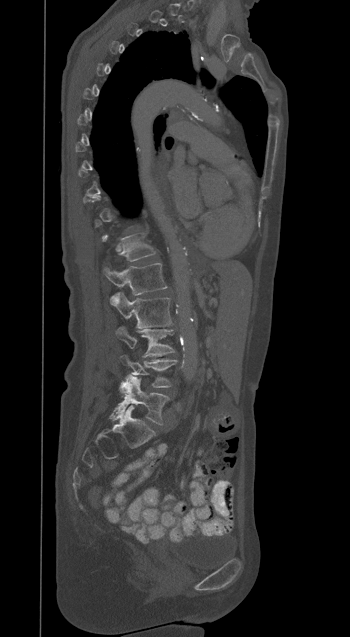
Computed tomography of the spine — sagittal view — 350 mm image width — bone-window reconstruction — 350x637 px. Each row gives a vertebra's box as x1, y1, x2, y2 in pixels: top-left corner, then bottom-right corner.
A vertebra gets a box only on the slices from the first to the last where its cross-section is at least a third of its largest; on a slice outside that range it gets none.
| vertebra | x1 | y1 | x2 | y2 |
|---|---|---|---|---|
| T12 | 107 | 234 | 155 | 261 |
| L1 | 104 | 263 | 167 | 295 |
| L2 | 109 | 292 | 172 | 328 |
| L3 | 115 | 327 | 175 | 356 |
| L4 | 120 | 355 | 176 | 387 |
| L5 | 110 | 376 | 169 | 424 |